Spine CT · Sagittal slice 167/382 · 382x541 px
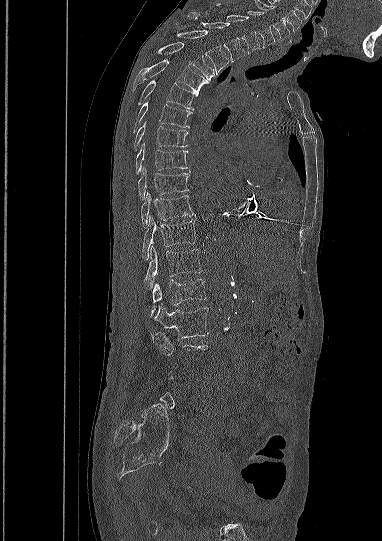

Each row gives a vertebra's box as x1, y1, x2, y2 in pixels: top-left corner, then bottom-right corner.
A vertebra gets a box only on the slices from the first to the last where its cross-section is at least a third of its largest; on a slice outside that range it gets none.
| vertebra | x1 | y1 | x2 | y2 |
|---|---|---|---|---|
| L2 | 155 | 303 | 208 | 337 |
| L1 | 151 | 279 | 206 | 315 |
| T12 | 144 | 246 | 201 | 288 |
| T11 | 142 | 216 | 196 | 259 |
| T10 | 141 | 192 | 194 | 228 |
| T9 | 138 | 167 | 188 | 199 |
| T8 | 135 | 143 | 187 | 174 |
| T7 | 134 | 122 | 187 | 150 |
| T6 | 132 | 102 | 192 | 133 |
| T5 | 138 | 80 | 198 | 110 |
| T4 | 133 | 58 | 208 | 94 |
| T3 | 158 | 42 | 214 | 80 |
| T2 | 177 | 30 | 228 | 74 |
| T1 | 188 | 12 | 245 | 62 |
| C7 | 216 | 4 | 260 | 53 |
| C6 | 248 | 11 | 275 | 47 |
| C5 | 254 | 0 | 289 | 40 |